CT spine — sagittal view — bone-window reconstruction — 555x689 px
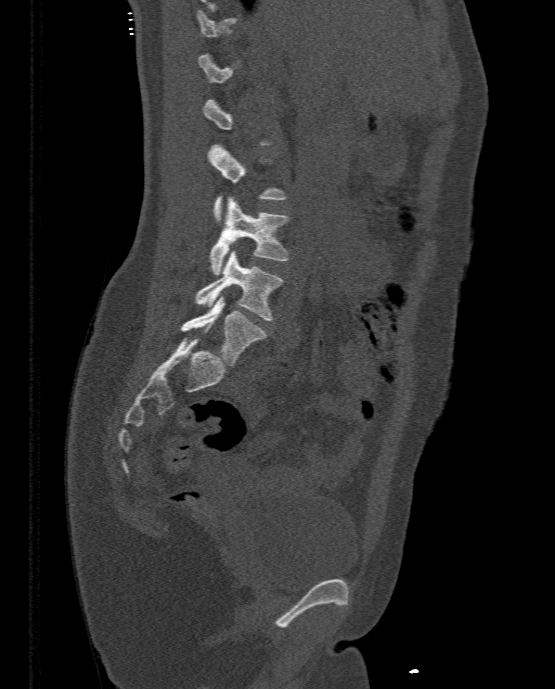 Not every vertebra on this slice has a box: a vertebra is boxed only from the first to the last slice where its cross-section is at least a third of its largest, and this slice is outside that range for at least one of them.
<vertebrae><v name="L2" x1="207" y1="144" x2="287" y2="221"/><v name="L3" x1="208" y1="197" x2="288" y2="274"/><v name="L4" x1="195" y1="250" x2="284" y2="320"/><v name="L5" x1="180" y1="296" x2="267" y2="366"/></vertebrae>